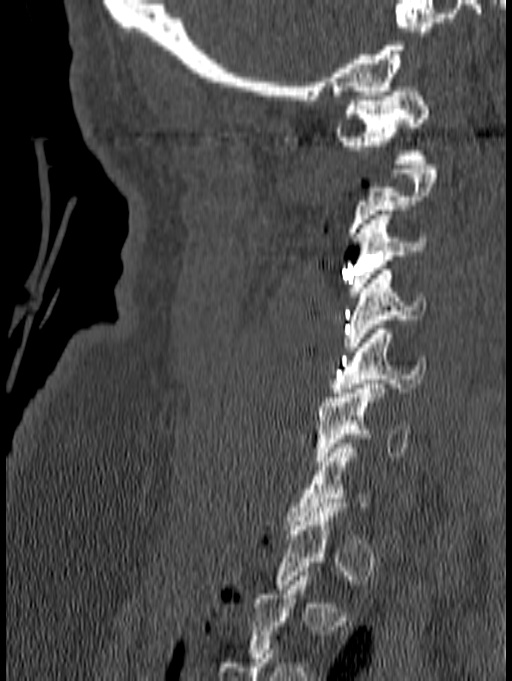 CT — sagittal view — 512x681 px

A vertebra is boxed only from the first to the last slice where its cross-section is at least a third of its largest; slices outside that range leave it without a box.
<vertebrae><v name="C6" x1="316" y1="384" x2="410" y2="465"/><v name="C5" x1="330" y1="325" x2="427" y2="397"/><v name="C4" x1="342" y1="270" x2="426" y2="351"/><v name="C3" x1="349" y1="210" x2="428" y2="296"/><v name="C1" x1="335" y1="87" x2="429" y2="164"/></vertebrae>